CT, spine. image 160 mm wide. sagittal view
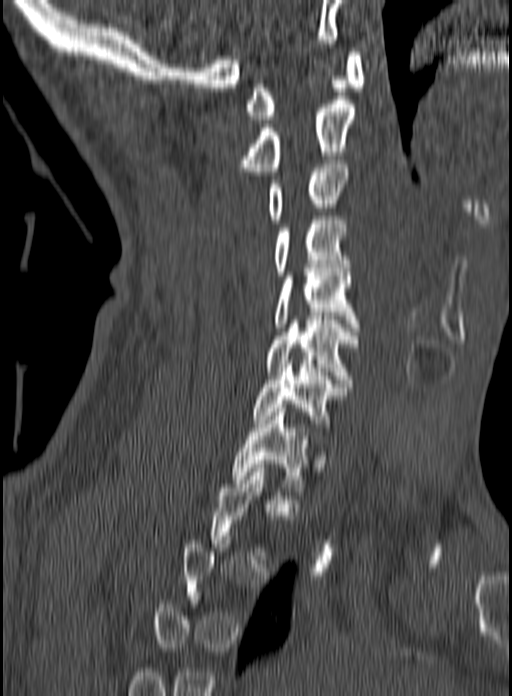

Each box given as x1,y1,x2,y2.
Not every vertebra on this slice has a box: a vertebra is boxed only from the first to the last slice where its cross-section is at least a third of its largest, and this slice is outside that range for at least one of them.
Vertebra bounding boxes:
- C1: x1=245, y1=52, x2=364, y2=119
- C2: x1=241, y1=100, x2=355, y2=171
- C3: x1=267, y1=160, x2=347, y2=223
- C4: x1=273, y1=216, x2=349, y2=275
- C5: x1=274, y1=268, x2=359, y2=331
- C6: x1=267, y1=316, x2=359, y2=383
- C7: x1=252, y1=364, x2=346, y2=427
- T1: x1=231, y1=408, x2=309, y2=491